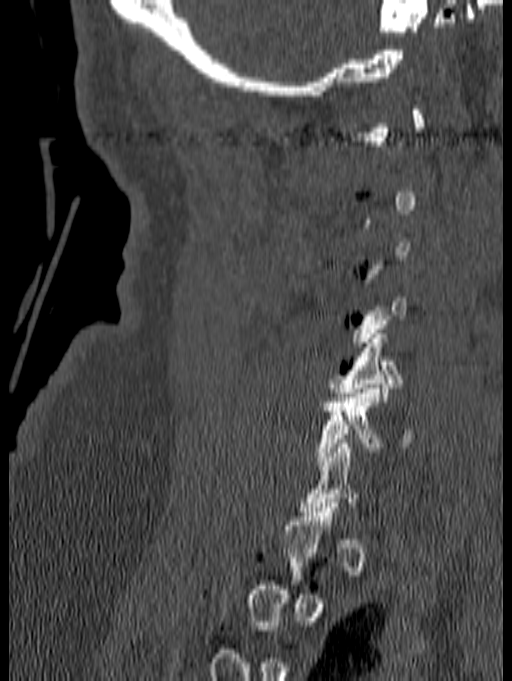

Spine CT; sagittal reformat. Each row gives a vertebra's box as x1, y1, x2, y2 in pixels: top-left corner, then bottom-right corner.
Not every vertebra on this slice has a box: a vertebra is boxed only from the first to the last slice where its cross-section is at least a third of its largest, and this slice is outside that range for at least one of them.
| vertebra | x1 | y1 | x2 | y2 |
|---|---|---|---|---|
| C5 | 329 | 329 | 403 | 401 |
| C6 | 315 | 384 | 415 | 465 |